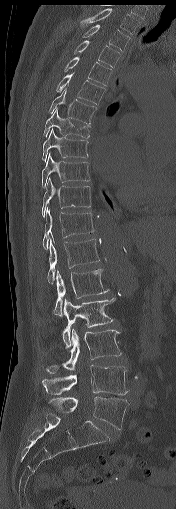

Spine computed tomography; sagittal view

In the table, x1 and y1 are a box's top-left corner and x2 and y2 its bottom-right corner, in pixels.
| vertebra | x1 | y1 | x2 | y2 |
|---|---|---|---|---|
| T1 | 80 | 8 | 140 | 34 |
| T2 | 82 | 24 | 130 | 51 |
| T3 | 74 | 40 | 121 | 66 |
| T4 | 65 | 57 | 112 | 85 |
| T5 | 56 | 72 | 105 | 104 |
| T6 | 48 | 88 | 97 | 124 |
| T7 | 43 | 108 | 91 | 138 |
| T8 | 42 | 127 | 88 | 161 |
| T9 | 42 | 153 | 90 | 188 |
| T10 | 42 | 176 | 90 | 216 |
| T11 | 43 | 206 | 94 | 249 |
| T12 | 47 | 238 | 99 | 284 |
| L1 | 54 | 269 | 109 | 316 |
| L2 | 62 | 298 | 114 | 348 |
| L3 | 46 | 329 | 121 | 373 |
| L4 | 42 | 364 | 129 | 394 |
| L5 | 48 | 396 | 128 | 429 |